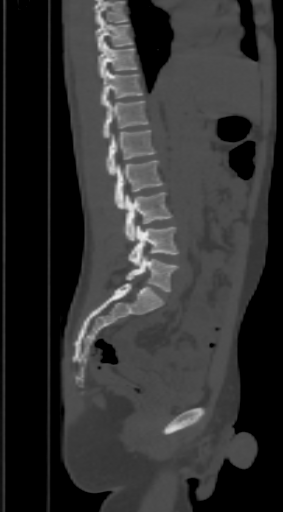

CT spine — sagittal view — bone window
Columns x1, y1, x2, y2 give each box's top-left and bottom-right pixels.
Vertebrae that run past the top of the scan are left unlabeled.
| vertebra | x1 | y1 | x2 | y2 |
|---|---|---|---|---|
| T9 | 95 | 17 | 133 | 51 |
| T10 | 98 | 41 | 139 | 77 |
| T11 | 101 | 69 | 142 | 106 |
| T12 | 104 | 100 | 147 | 138 |
| L1 | 106 | 129 | 156 | 175 |
| L2 | 115 | 160 | 164 | 209 |
| L3 | 123 | 192 | 173 | 240 |
| L4 | 129 | 226 | 178 | 265 |
| L5 | 126 | 256 | 178 | 292 |